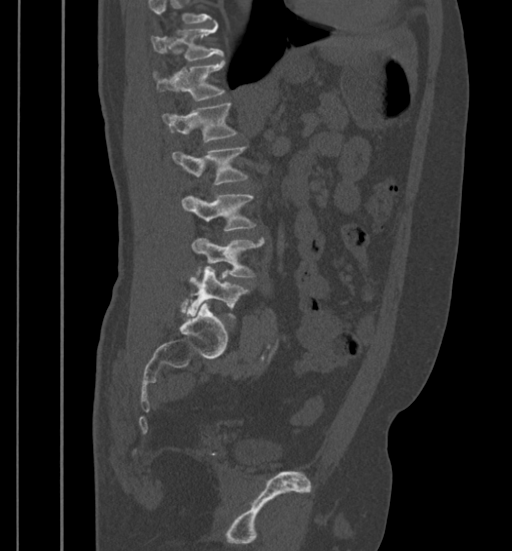 CT spine — the image spans 399 mm across — sagittal view. Each row gives a vertebra's box as x1, y1, x2, y2 in pixels: top-left corner, then bottom-right corner.
Where the top of the scan cuts through a vertebra, that vertebra gets no label or box.
| vertebra | x1 | y1 | x2 | y2 |
|---|---|---|---|---|
| T11 | 151 | 24 | 223 | 61 |
| T12 | 151 | 60 | 225 | 100 |
| L1 | 162 | 103 | 238 | 143 |
| L2 | 172 | 146 | 248 | 185 |
| L3 | 182 | 193 | 255 | 231 |
| L4 | 191 | 237 | 264 | 277 |
| L5 | 189 | 267 | 249 | 318 |